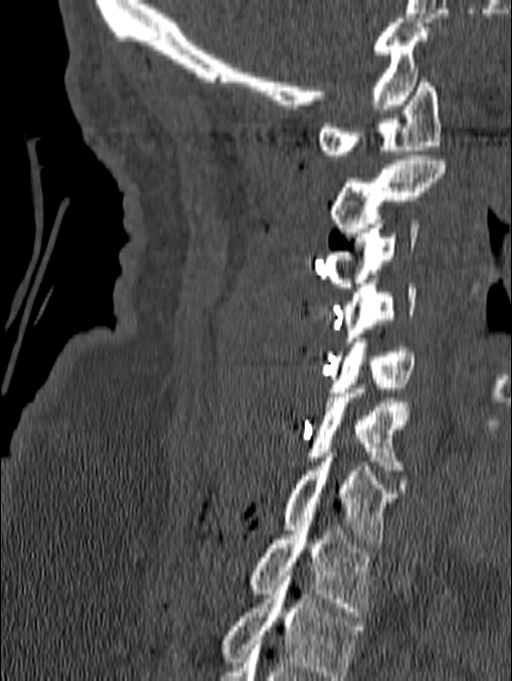
Computed tomography of the spine. sagittal view
Each box is [x1, y1, x2, y2] in pixels: top-left corner, then bottom-right corner.
Labels in this scan begin with C1 at the top and end with T1 at the bottom.
{"vertebrae":{"C1":[318,78,441,159],"C2":[330,155,445,237],"C3":[323,219,419,287],"C4":[342,279,416,346],"C5":[330,338,414,392],"C6":[306,384,414,474],"C7":[283,453,399,548],"T1":[250,521,371,616]}}